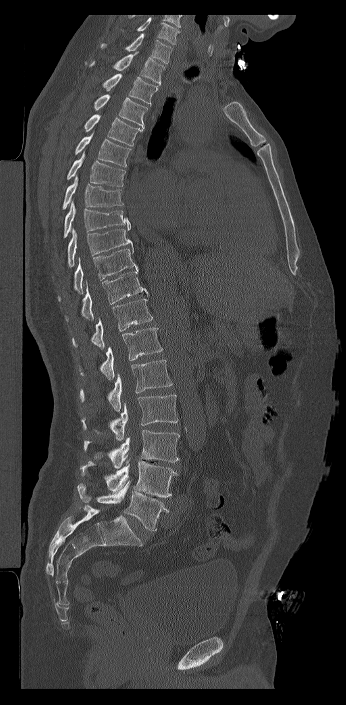 Spine CT. sagittal view. bone window
In this scan, the topmost labeled vertebra is C7 and the lowest is L6.
In these labels the spine has an L6, a sixth lumbar vertebra below L5.
<vertebrae><v name="L6" x1="77" y1="481" x2="169" y2="531"/><v name="L5" x1="80" y1="461" x2="178" y2="497"/><v name="L4" x1="83" y1="430" x2="179" y2="468"/><v name="L3" x1="81" y1="394" x2="178" y2="440"/><v name="L2" x1="79" y1="360" x2="172" y2="411"/><v name="L1" x1="79" y1="327" x2="162" y2="380"/><v name="T12" x1="72" y1="299" x2="152" y2="349"/><v name="T11" x1="64" y1="270" x2="149" y2="321"/><v name="T10" x1="58" y1="246" x2="138" y2="301"/><v name="T9" x1="67" y1="228" x2="132" y2="267"/><v name="T8" x1="63" y1="201" x2="130" y2="238"/><v name="T7" x1="62" y1="175" x2="123" y2="209"/><v name="T6" x1="66" y1="151" x2="125" y2="186"/><v name="T5" x1="74" y1="132" x2="131" y2="167"/><v name="T4" x1="84" y1="114" x2="143" y2="146"/><v name="T3" x1="93" y1="94" x2="148" y2="129"/><v name="T2" x1="102" y1="73" x2="157" y2="105"/><v name="T1" x1="84" y1="51" x2="165" y2="85"/><v name="C7" x1="100" y1="33" x2="172" y2="63"/></vertebrae>